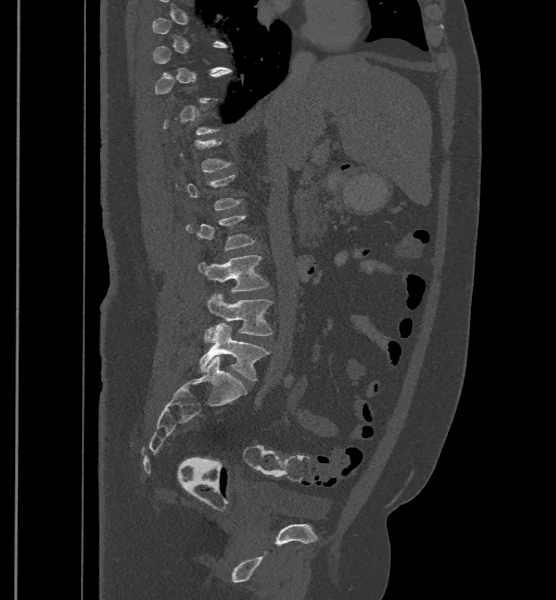
Spine CT. sagittal view

Boxes: x1 y1 x2 y2 (pixel coords, space-separated).
A vertebra is boxed only from the first to the last slice where its cross-section is at least a third of its largest; slices outside that range leave it without a box.
These labels give the spine a sixth lumbar vertebra, L6, below L5.
Vertebra bounding boxes:
- L3: 186 214 256 250
- L4: 197 256 268 292
- L5: 203 293 272 342
- L6: 199 323 269 380